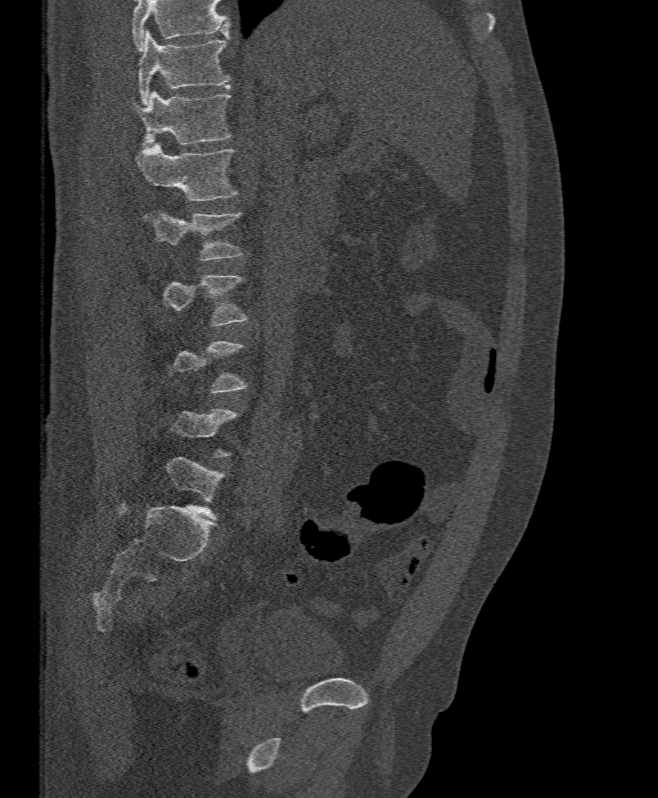

CT, spine. sagittal view. bone window. 658x798 px. Each row gives a vertebra's box as x1, y1, x2, y2 in pixels: top-left corner, then bottom-right corner.
A vertebra gets a box only on the slices from the first to the last where its cross-section is at least a third of its largest; on a slice outside that range it gets none.
Vertebrae that run past the top of the scan are left unlabeled.
| vertebra | x1 | y1 | x2 | y2 |
|---|---|---|---|---|
| T11 | 138 | 30 | 230 | 104 |
| T12 | 138 | 90 | 230 | 147 |
| L1 | 135 | 143 | 237 | 201 |
| L2 | 143 | 210 | 242 | 261 |
| L3 | 163 | 275 | 247 | 326 |